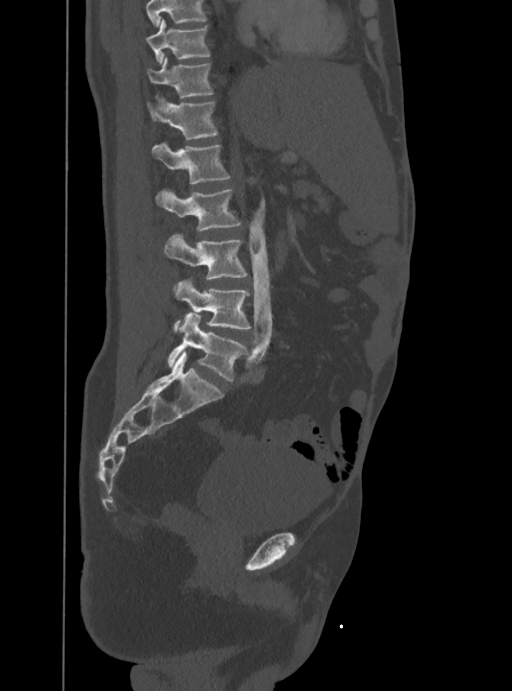 CT, spine · image width 388 mm · sagittal view · Bone window (WL 400, WW 1800)
Box values are [left, top, right, bottom] in pixels.
A vertebra cut off by the top edge of the scan is not labeled and has no box.
{"vertebrae":{"L5":[167,314,247,381],"L4":[173,279,251,330],"L3":[165,234,247,290],"L2":[156,190,240,231],"L1":[152,143,230,183],"T12":[148,97,218,139],"T11":[148,57,213,98],"T10":[146,18,210,62]}}